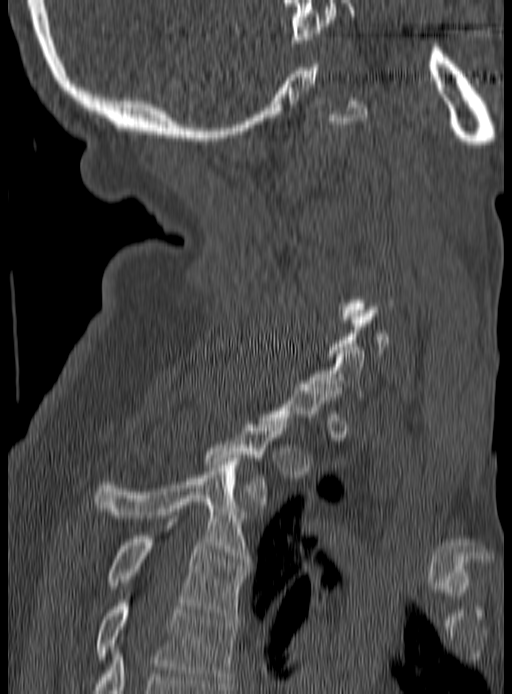

CT spine. sagittal reformat

Columns x1, y1, x2, y2 give each box's top-left and bottom-right pixels.
A vertebra gets a box only on the slices from the first to the last where its cross-section is at least a third of its largest; on a slice outside that range it gets none.
| vertebra | x1 | y1 | x2 | y2 |
|---|---|---|---|---|
| C7 | 309 | 344 | 365 | 400 |
| T2 | 206 | 418 | 287 | 504 |
| T3 | 95 | 458 | 248 | 562 |
| T4 | 106 | 522 | 248 | 619 |
| T5 | 95 | 600 | 237 | 686 |